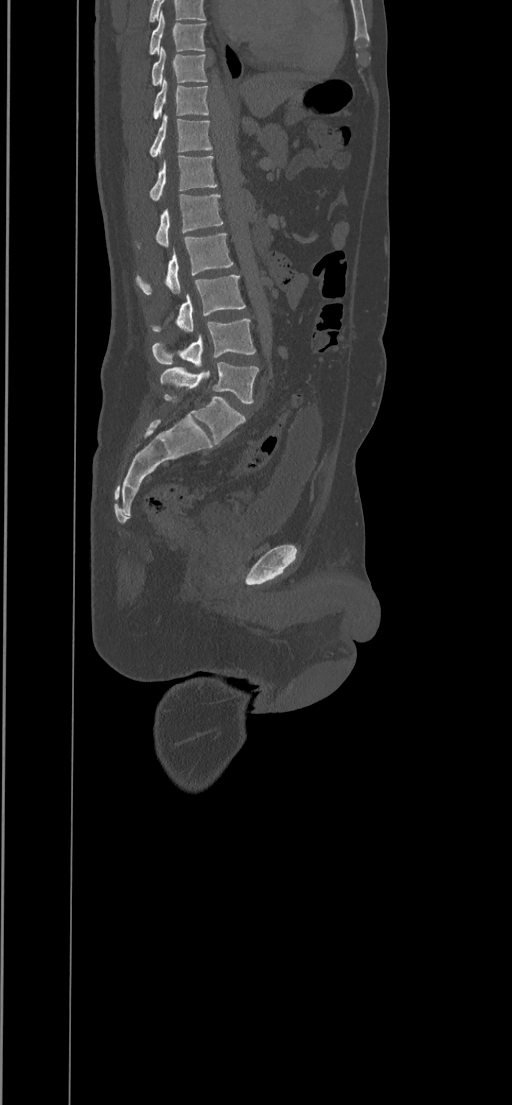
Spine CT · sagittal view · Bone window (WL 400, WW 1800) · 512x1105 px
Each vertebra maps to its box as [x1, y1, x2, y2], the pixel coordinates of its top-left and bottom-right corners.
{"vertebrae":{"T8":[150,11,205,54],"T9":[151,46,207,86],"T10":[153,78,209,119],"T11":[150,114,212,157],"T12":[150,156,217,201],"L1":[156,193,223,247],"L2":[136,234,232,294],"L3":[152,275,245,331],"L4":[152,319,255,367],"L5":[160,362,258,402]}}